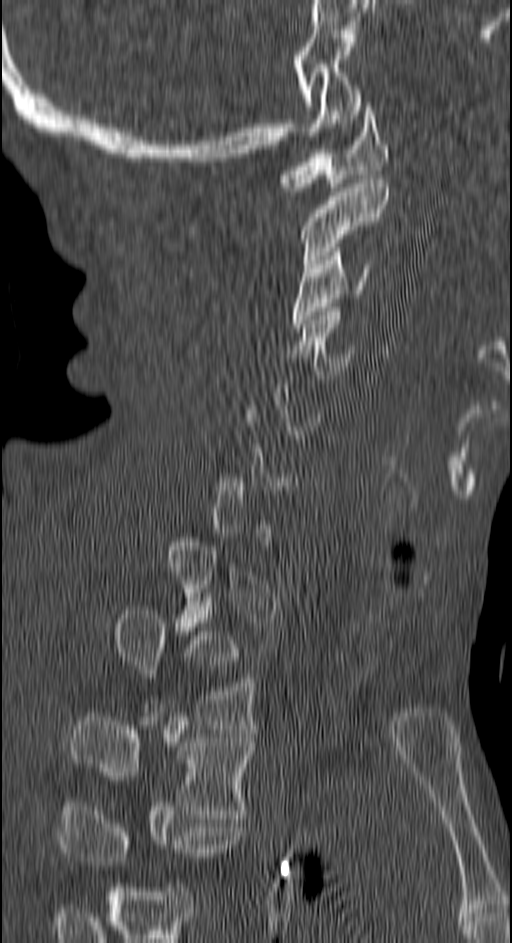 Computed tomography of the spine · sagittal view
Each vertebra is boxed only on the slices from the first to the last where its cross-section reaches a third of its largest, so a slice outside that range leaves it unboxed.
Labels in this scan begin with C1 at the top and end with T4 at the bottom.
<vertebrae><v name="C1" x1="278" y1="102" x2="389" y2="191"/><v name="C2" x1="302" y1="179" x2="389" y2="268"/><v name="C3" x1="291" y1="247" x2="375" y2="328"/><v name="C4" x1="291" y1="311" x2="355" y2="383"/><v name="T2" x1="114" y1="610" x2="256" y2="729"/><v name="T3" x1="69" y1="713" x2="253" y2="818"/><v name="T4" x1="59" y1="806" x2="243" y2="865"/></vertebrae>